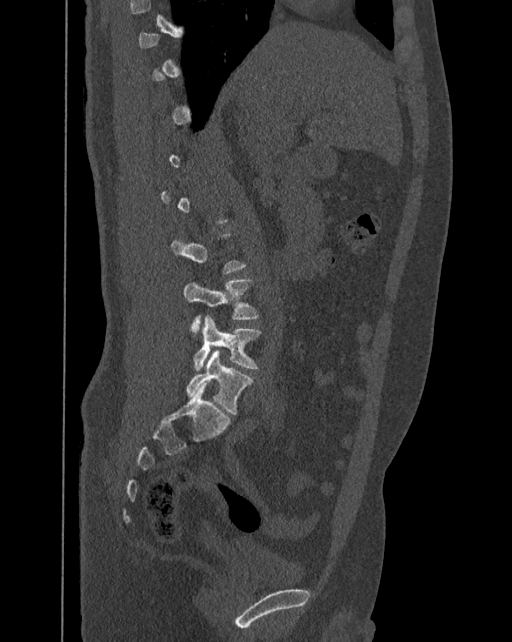
Spine computed tomography. sagittal view. 392 mm image width. bone window. In the table, x1 and y1 are a box's top-left corner and x2 and y2 its bottom-right corner, in pixels.
Not every vertebra on this slice has a box: a vertebra is boxed only from the first to the last slice where its cross-section is at least a third of its largest, and this slice is outside that range for at least one of them.
In these labels the spine has an L6, a sixth lumbar vertebra below L5.
| vertebra | x1 | y1 | x2 | y2 |
|---|---|---|---|---|
| L6 | 186 | 350 | 252 | 414 |
| L5 | 193 | 315 | 260 | 370 |
| L4 | 184 | 279 | 259 | 332 |